CT — sagittal reformat — 180 mm across the image — scan covers 12 annotated vertebrae
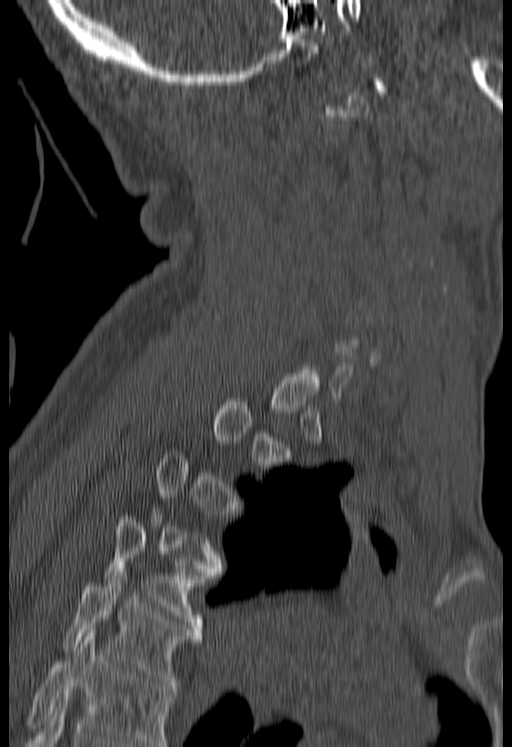
A vertebra gets a box only on the slices from the first to the last where its cross-section is at least a third of its largest; on a slice outside that range it gets none.
No box is given to a vertebra that the bottom edge of the scan cuts off.
<vertebrae><v name="T5" x1="64" y1="572" x2="199" y2="689"/><v name="T4" x1="105" y1="512" x2="205" y2="625"/></vertebrae>